CT spine; sagittal view
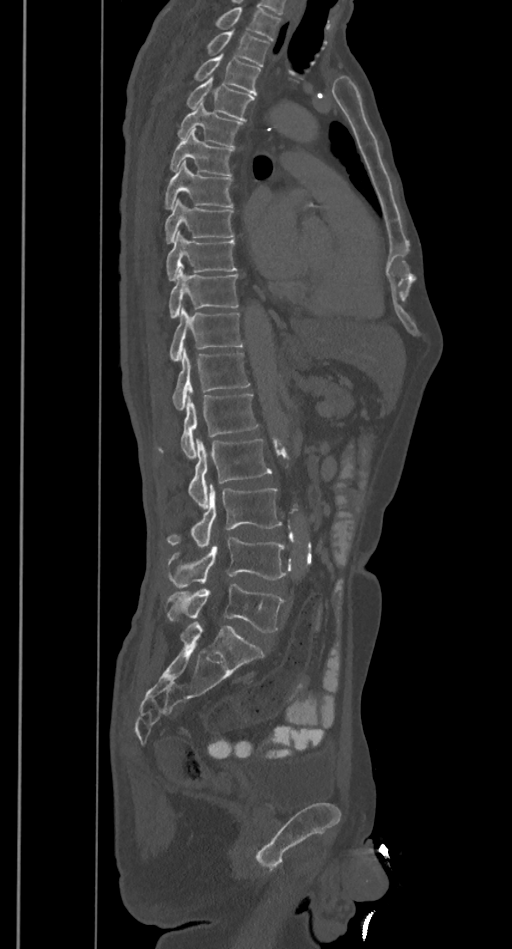
Where the top of the scan cuts through a vertebra, that vertebra gets no label or box.
<vertebrae><v name="L5" x1="167" y1="583" x2="285" y2="632"/><v name="L4" x1="169" y1="537" x2="289" y2="587"/><v name="L3" x1="167" y1="484" x2="281" y2="548"/><v name="L2" x1="189" y1="438" x2="271" y2="508"/><v name="L1" x1="158" y1="394" x2="258" y2="459"/><v name="T12" x1="173" y1="348" x2="250" y2="410"/><v name="T11" x1="170" y1="309" x2="242" y2="360"/><v name="T10" x1="169" y1="269" x2="238" y2="316"/><v name="T9" x1="166" y1="231" x2="236" y2="280"/><v name="T8" x1="165" y1="197" x2="234" y2="243"/><v name="T7" x1="165" y1="160" x2="233" y2="208"/><v name="T6" x1="170" y1="129" x2="233" y2="175"/><v name="T5" x1="178" y1="102" x2="242" y2="146"/><v name="T4" x1="186" y1="77" x2="254" y2="120"/><v name="T3" x1="194" y1="54" x2="261" y2="95"/><v name="T2" x1="207" y1="30" x2="269" y2="66"/></vertebrae>